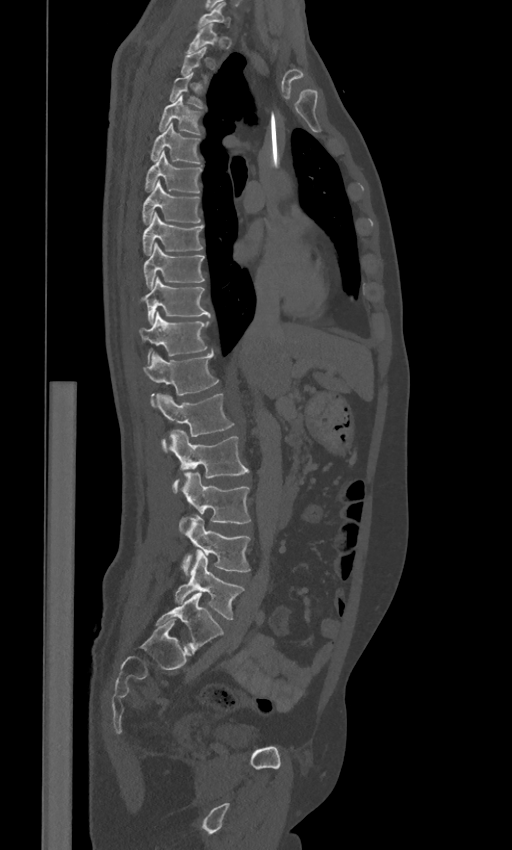 Computed tomography of the spine · sagittal view · W/L 1800/400 HU

Bounding boxes as [x1, y1, x2, y2] in pixel coordinates. Not every vertebra on this slice has a box: a vertebra is boxed only from the first to the last slice where its cross-section is at least a third of its largest, and this slice is outside that range for at least one of them. These labels give the spine a sixth lumbar vertebra, L6, below L5. 18 vertebrae labeled — C7 at [198, 2, 230, 27]; T1 at [186, 24, 216, 53]; T3 at [169, 72, 205, 108]; T4 at [158, 96, 201, 134]; T5 at [150, 123, 201, 163]; T6 at [144, 151, 202, 192]; T7 at [142, 181, 200, 224]; T8 at [142, 212, 203, 255]; T9 at [143, 242, 205, 288]; T10 at [143, 277, 210, 322]; T11 at [139, 312, 209, 361]; T12 at [142, 352, 219, 405]; L1 at [156, 393, 234, 451]; L2 at [171, 431, 249, 493]; L3 at [179, 472, 251, 534]; L4 at [181, 515, 251, 574]; L5 at [175, 550, 244, 619]; L6 at [156, 593, 223, 652].